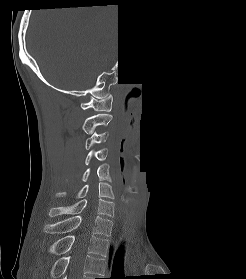
CT, spine — sagittal view — W/L 1800/400 HU — part of the scan has been removed (filled with constant black)
Boxes are (x1, y1, x2, y2) in pixels. Labels in this scan begin with C1 at the top and end with T2 at the bottom. Vertebrae labeled: T2 at (49, 235, 109, 256), T1 at (43, 216, 113, 236), C7 at (49, 199, 114, 216), C6 at (56, 182, 114, 198), C5 at (81, 163, 111, 182), C4 at (85, 148, 107, 164), C3 at (85, 132, 108, 149), C2 at (82, 113, 112, 134), C1 at (81, 94, 112, 111).